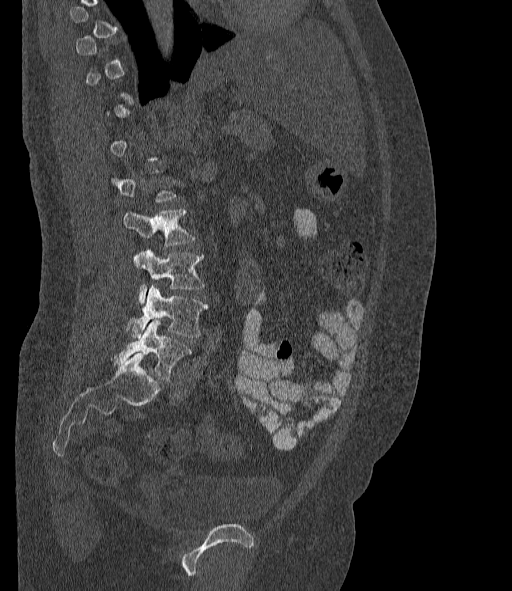

Computed tomography of the spine. sagittal reformat. 512x591 px. 377 mm wide. Coordinates as <box>x1,y1,x2,y2</box>. Not every vertebra on this slice has a box: a vertebra is boxed only from the first to the last slice where its cross-section is at least a third of its largest, and this slice is outside that range for at least one of them. The labels name a sixth lumbar vertebra for this spine: L6, after L5. The labeled vertebrae in this slice are: L6 at <box>114,319,190,381</box>, L5 at <box>126,285,208,339</box>, L4 at <box>133,250,204,300</box>, L3 at <box>123,209,193,246</box>.